Spine CT. Sagittal slice 250/512. 512x653 px. image 377 mm wide. 8 vertebrae labeled in this scan
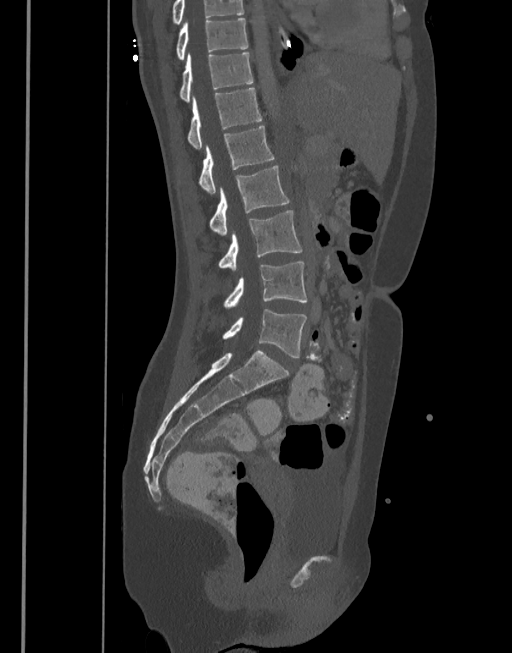
Boxes are (x1, y1, x2, y2) in pixels.
The highest labeled vertebra in this scan is T10; the lowest is L5.
Vertebra bounding boxes:
- T10: (176, 18, 247, 59)
- T11: (179, 53, 253, 102)
- T12: (187, 88, 261, 148)
- L1: (198, 126, 275, 193)
- L2: (209, 165, 289, 235)
- L3: (218, 210, 302, 270)
- L4: (224, 262, 307, 308)
- L5: (223, 309, 307, 357)